Computed tomography of the spine — Sagittal slice 33/61 — bone window — scan covers 14 annotated vertebrae
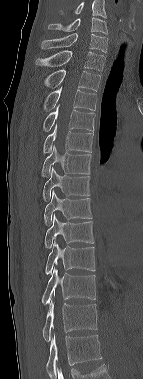

Each box is [x1, y1, x2, y2] in pixels: top-left corner, then bottom-right corner.
This scan's labels start at C6 at the top and end at T12 at the bottom.
{"vertebrae":{"C6":[48,17,107,34],"C7":[41,33,107,52],"T1":[36,50,106,71],"T2":[44,69,101,91],"T3":[43,87,96,111],"T4":[43,105,95,131],"T5":[43,123,93,154],"T6":[41,143,91,177],"T7":[42,167,90,201],"T8":[44,190,92,226],"T9":[45,215,94,248],"T10":[45,239,95,274],"T11":[41,267,95,304],"T12":[42,300,97,341]}}